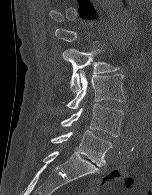
Spine CT — sagittal view. Box edges are left/top/right/bottom in pixels. A vertebra gets a box only on the slices from the first to the last where its cross-section is at least a third of its largest; on a slice outside that range it gets none. The labeled vertebrae in this slice are: L5 at left=51, top=130, right=112, bottom=166, L4 at left=60, top=103, right=123, bottom=136, L3 at left=66, top=70, right=125, bottom=109, L2 at left=62, top=48, right=119, bottom=92.